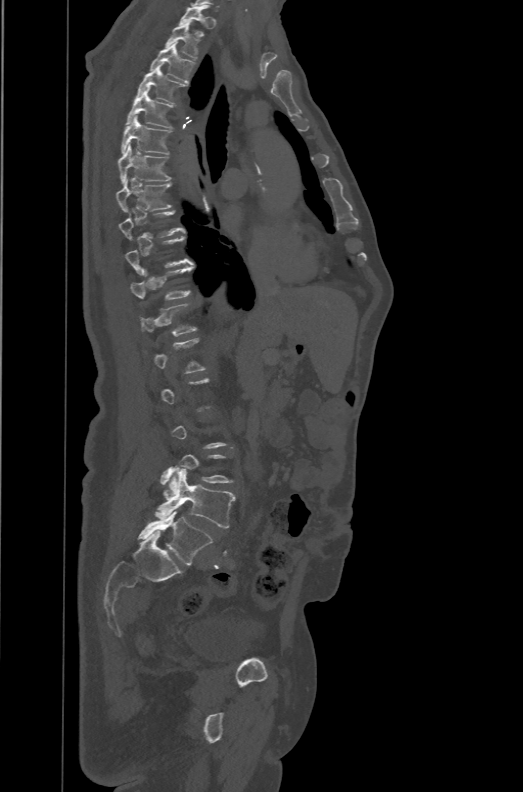 Spine CT; sagittal view; Bone window (WL 400, WW 1800)
Each box given as x1,y1,x2,y2.
Each vertebra is boxed only on the slices from the first to the last where its cross-section reaches a third of its largest, so a slice outside that range leaves it unboxed.
These labels give the spine a sixth lumbar vertebra, L6, below L5.
Vertebra bounding boxes:
- T1: x1=179, y1=5, x2=210, y2=25
- T2: x1=165, y1=23, x2=200, y2=59
- T3: x1=149, y1=42, x2=195, y2=83
- T4: x1=136, y1=67, x2=187, y2=104
- T5: x1=125, y1=90, x2=175, y2=128
- T6: x1=121, y1=115, x2=173, y2=153
- T7: x1=118, y1=144, x2=171, y2=184
- T8: x1=116, y1=177, x2=171, y2=212
- T9: x1=119, y1=210, x2=185, y2=240
- T11: x1=130, y1=265, x2=194, y2=299
- T12: x1=139, y1=303, x2=196, y2=335
- L5: x1=155, y1=465, x2=235, y2=528
- L6: x1=138, y1=511, x2=213, y2=565